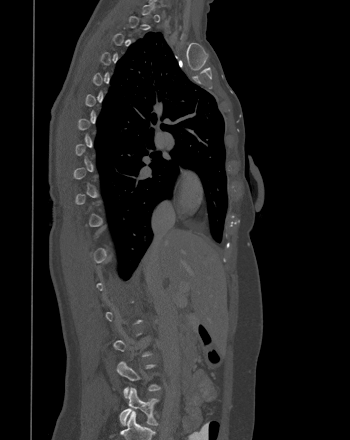

Spine CT. sagittal view. Bone window (WL 400, WW 1800). Box edges are left/top/right/bottom in pixels.
Each vertebra is boxed only on the slices from the first to the last where its cross-section reaches a third of its largest, so a slice outside that range leaves it unboxed.
| vertebra | x1 | y1 | x2 | y2 |
|---|---|---|---|---|
| L4 | 116 | 361 | 160 | 397 |
| L5 | 119 | 387 | 158 | 425 |